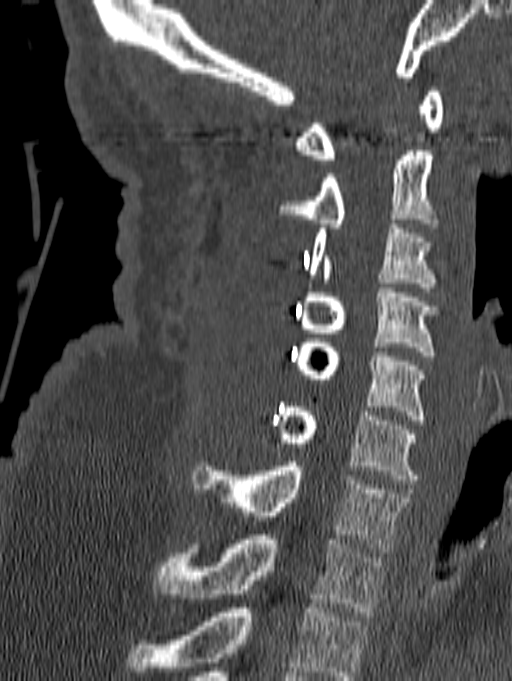 Spine CT; sagittal reformat; 512x681 px
In this scan, the topmost labeled vertebra is C1 and the lowest is T1.
<vertebrae><v name="C1" x1="295" y1="87" x2="443" y2="164"/><v name="C2" x1="279" y1="151" x2="436" y2="228"/><v name="C3" x1="310" y1="224" x2="436" y2="292"/><v name="C4" x1="299" y1="283" x2="439" y2="360"/><v name="C5" x1="294" y1="338" x2="425" y2="424"/><v name="C6" x1="272" y1="407" x2="417" y2="484"/><v name="C7" x1="192" y1="462" x2="410" y2="552"/><v name="T1" x1="155" y1="535" x2="385" y2="616"/></vertebrae>